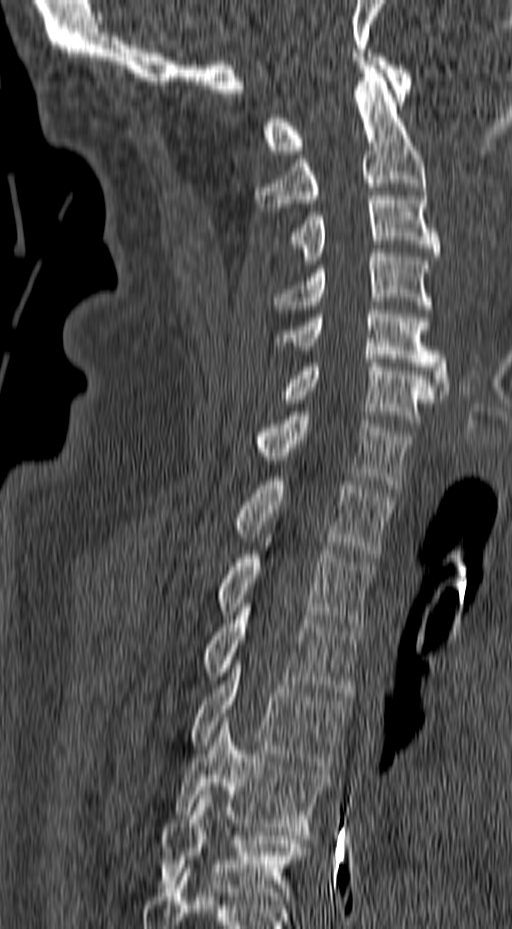 Spine CT — sagittal reformat — bone window — 157 mm image width
Boxes below are [x1, y1, x2, y2] in pixels.
{"vertebrae":{"C1":[263,53,412,154],"C2":[253,65,425,207],"C3":[288,196,440,264],"C4":[273,249,432,309],"C5":[273,306,449,394],"C6":[282,359,443,427],"C7":[259,412,414,488],"T1":[236,481,395,557],"T2":[220,542,372,627],"T3":[203,607,362,696],"T4":[190,664,349,769],"T5":[173,717,330,835],"T6":[158,791,308,904]}}